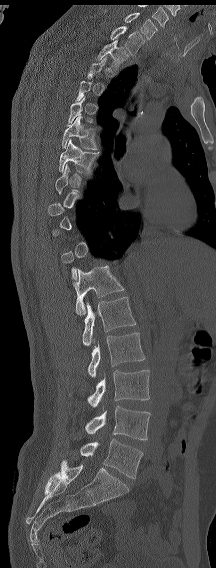 Spine CT — sagittal view — bone window — 216x568 px

Boxes are (x1, y1, x2, y2) in pixels. A vertebra gets a box only on the slices from the first to the last where its cross-section is at least a third of its largest; on a slice outside that range it gets none. In this scan, the topmost labeled vertebra is C7 and the lowest is L6. In these labels the spine has an L6, a sixth lumbar vertebra below L5. 11 vertebrae labeled — C7 at (105, 11, 157, 39); T1 at (110, 26, 144, 54); T2 at (96, 40, 128, 69); T6 at (61, 116, 97, 149); T7 at (59, 139, 98, 174); L1 at (72, 265, 124, 315); L2 at (82, 297, 136, 345); L3 at (88, 332, 145, 377); L4 at (87, 370, 149, 407); L5 at (85, 406, 150, 440); L6 at (80, 439, 143, 478).